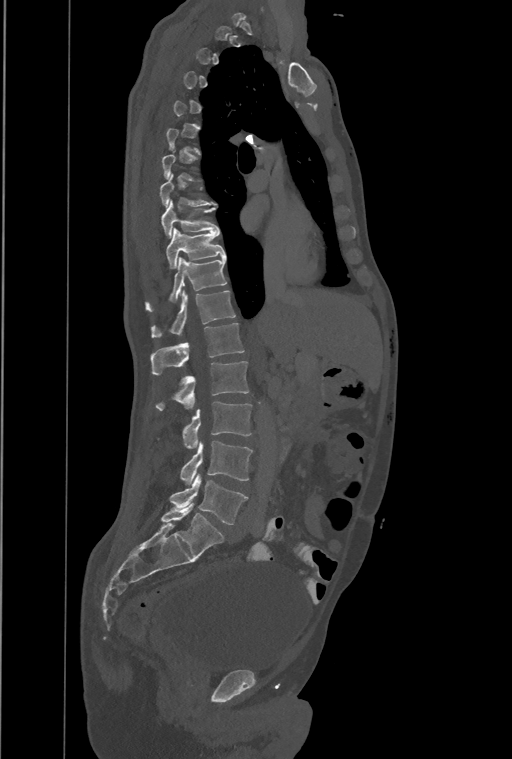 CT spine · sagittal view · image width 461 mm · W/L 1800/400 HU. Coordinates as <box>x1,y1,x2,y2</box>.
Not every vertebra on this slice has a box: a vertebra is boxed only from the first to the last slice where its cross-section is at least a third of its largest, and this slice is outside that range for at least one of them.
Labels in this scan begin with T1 at the top and end with L4 at the bottom.
In these labels the spine has a T13, a thirteenth thoracic vertebra, between T12 and L1.
T8: <box>160,174,215,206</box>
T9: <box>161,200,218,237</box>
T10: <box>166,228,225,268</box>
T11: <box>145,257,226,311</box>
T12: <box>151,290,235,337</box>
T13: <box>151,322,244,375</box>
L1: <box>155,361,248,410</box>
L2: <box>182,401,252,448</box>
L3: <box>181,441,252,485</box>
L4: <box>170,475,247,525</box>